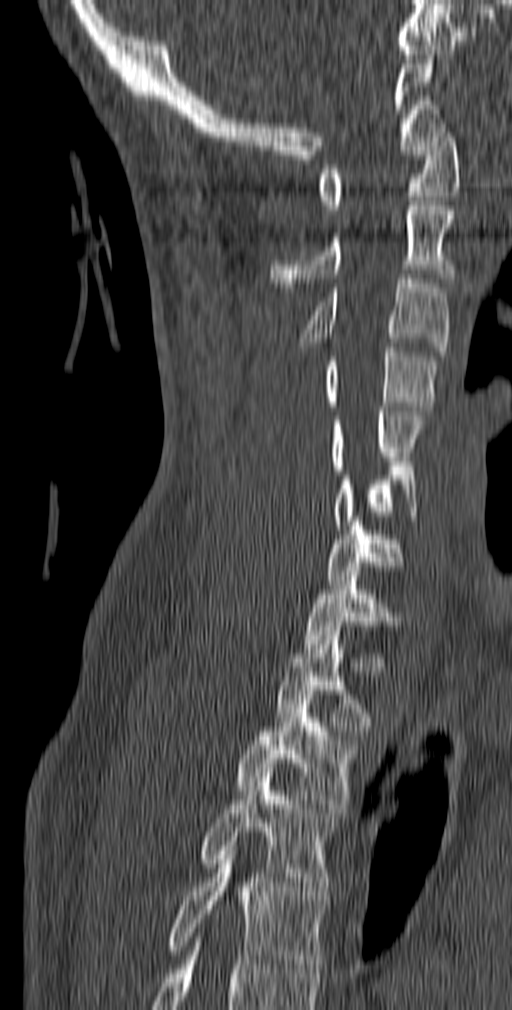 CT, spine · 140 mm wide · sagittal view · W/L 1800/400 HU · 512x1010 px
Boxes below are [x1, y1, x2, y2] in pixels.
{"vertebrae":{"T5":[166,850,326,973],"T4":[199,773,338,900],"T3":[235,695,357,813],"T2":[276,631,373,730],"T1":[303,576,402,653],"C7":[326,521,403,584],"C6":[334,466,418,529],"C5":[330,407,425,474],"C4":[323,343,439,410],"C3":[301,274,450,356],"C2":[270,201,455,287],"C1":[319,128,459,214]}}